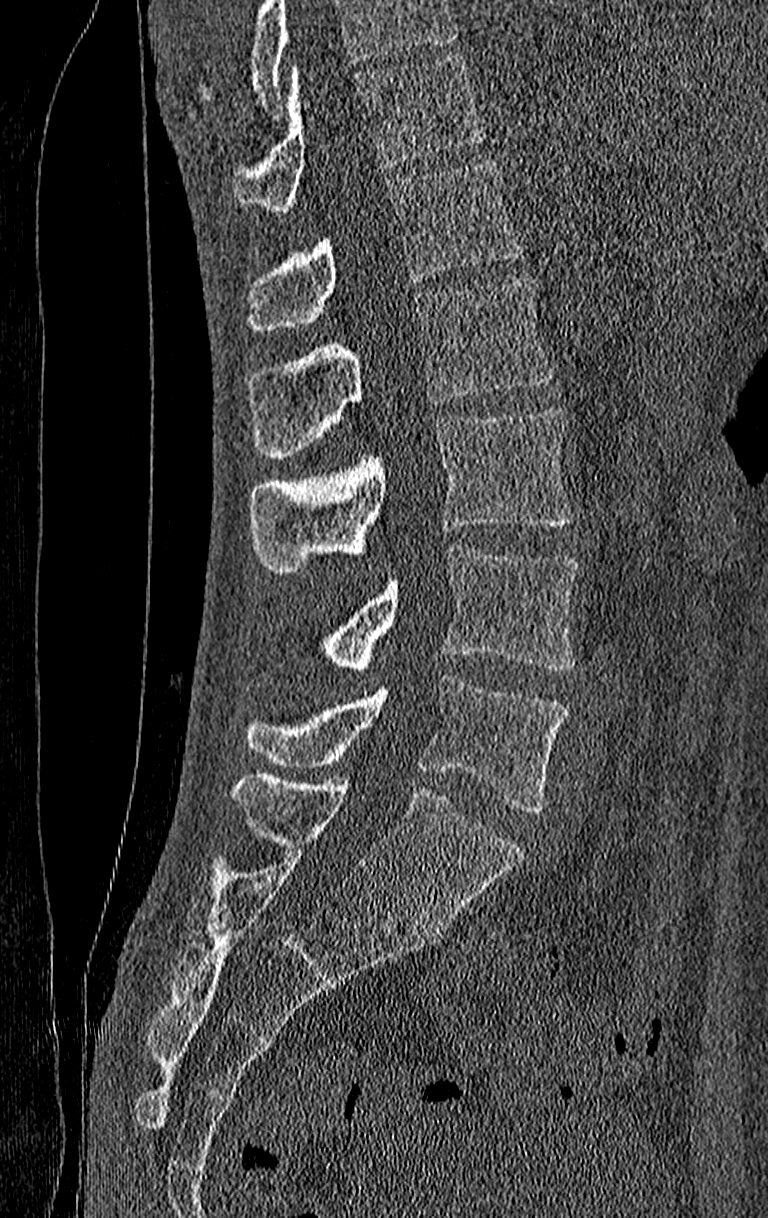
Spine computed tomography — 210 mm wide — sagittal view
No box is given to a vertebra that the top edge of the scan cuts off.
The highest labeled vertebra in this scan is T11; the lowest is L4.
<vertebrae><v name="T11" x1="233" y1="53" x2="484" y2="211"/><v name="T12" x1="247" y1="161" x2="524" y2="333"/><v name="L1" x1="247" y1="278" x2="554" y2="457"/><v name="L2" x1="251" y1="410" x2="572" y2="573"/><v name="L3" x1="324" y1="546" x2="579" y2="672"/><v name="L4" x1="247" y1="678" x2="568" y2="812"/></vertebrae>